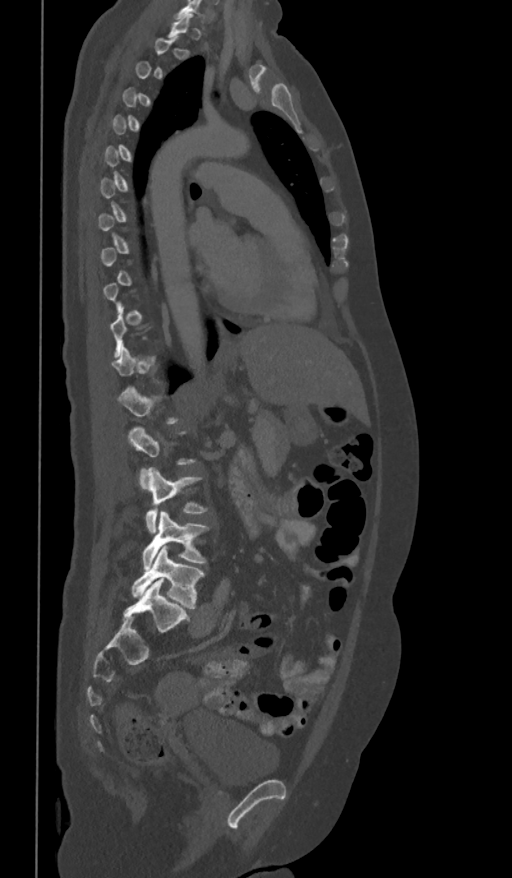 CT · sagittal view · 361 mm image width

Box edges are left/top/right/bottom in pixels. A vertebra gets a box only on the slices from the first to the last where its cross-section is at least a third of its largest; on a slice outside that range it gets none. Vertebrae labeled: L1 at left=119, top=387, right=180, bottom=424, L2 at left=129, top=426, right=197, bottom=489, L3 at left=144, top=467, right=209, bottom=533, L4 at left=142, top=511, right=210, bottom=570, L5 at left=132, top=546, right=204, bottom=609.